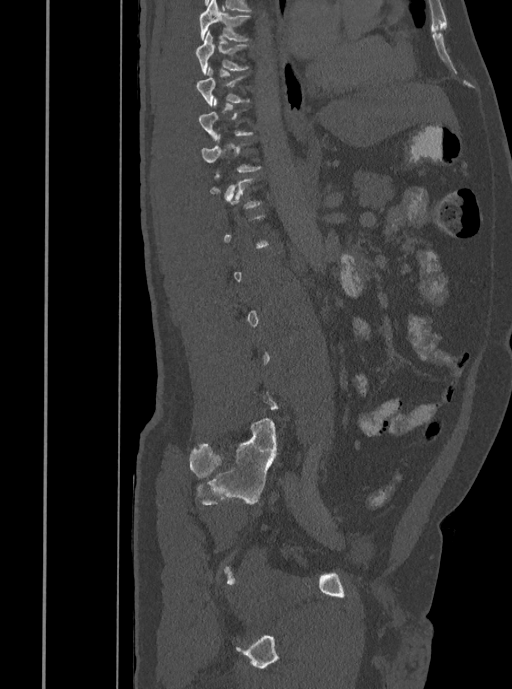

CT, spine; sagittal view; bone-window reconstruction
Each vertebra is boxed only on the slices from the first to the last where its cross-section reaches a third of its largest, so a slice outside that range leaves it unboxed.
<vertebrae><v name="T9" x1="196" y1="67" x2="249" y2="106"/><v name="T8" x1="196" y1="32" x2="249" y2="75"/><v name="T7" x1="199" y1="0" x2="250" y2="41"/></vertebrae>